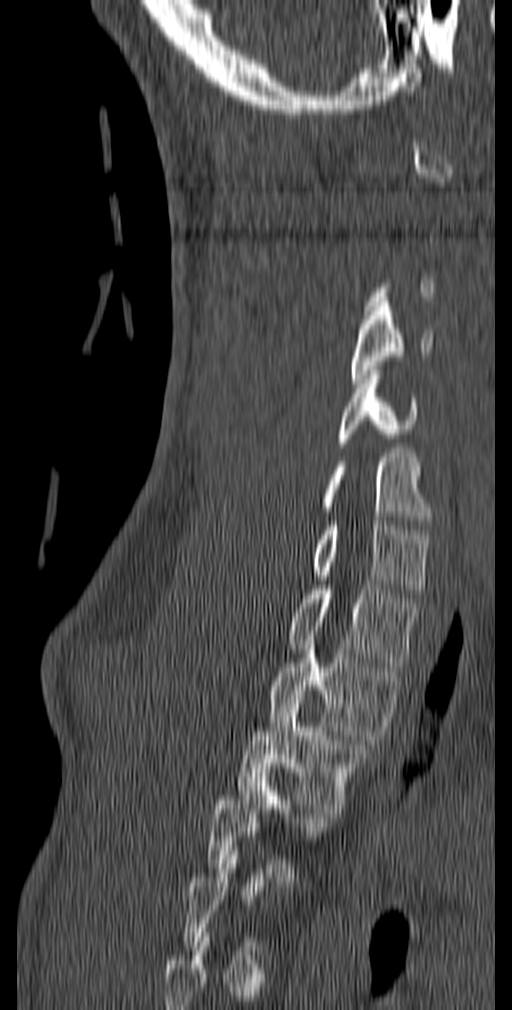

Spine computed tomography — sagittal view — 512x1010 px — the image spans 140 mm across

A vertebra is boxed only from the first to the last slice where its cross-section is at least a third of its largest; slices outside that range leave it without a box.
<vertebrae><v name="C4" x1="351" y1="302" x2="433" y2="383"/><v name="C5" x1="334" y1="366" x2="417" y2="447"/><v name="C6" x1="319" y1="453" x2="432" y2="525"/><v name="C7" x1="312" y1="521" x2="431" y2="593"/><v name="T1" x1="287" y1="585" x2="419" y2="666"/><v name="T2" x1="268" y1="645" x2="402" y2="740"/><v name="T3" x1="237" y1="695" x2="370" y2="813"/><v name="T4" x1="206" y1="773" x2="329" y2="881"/></vertebrae>